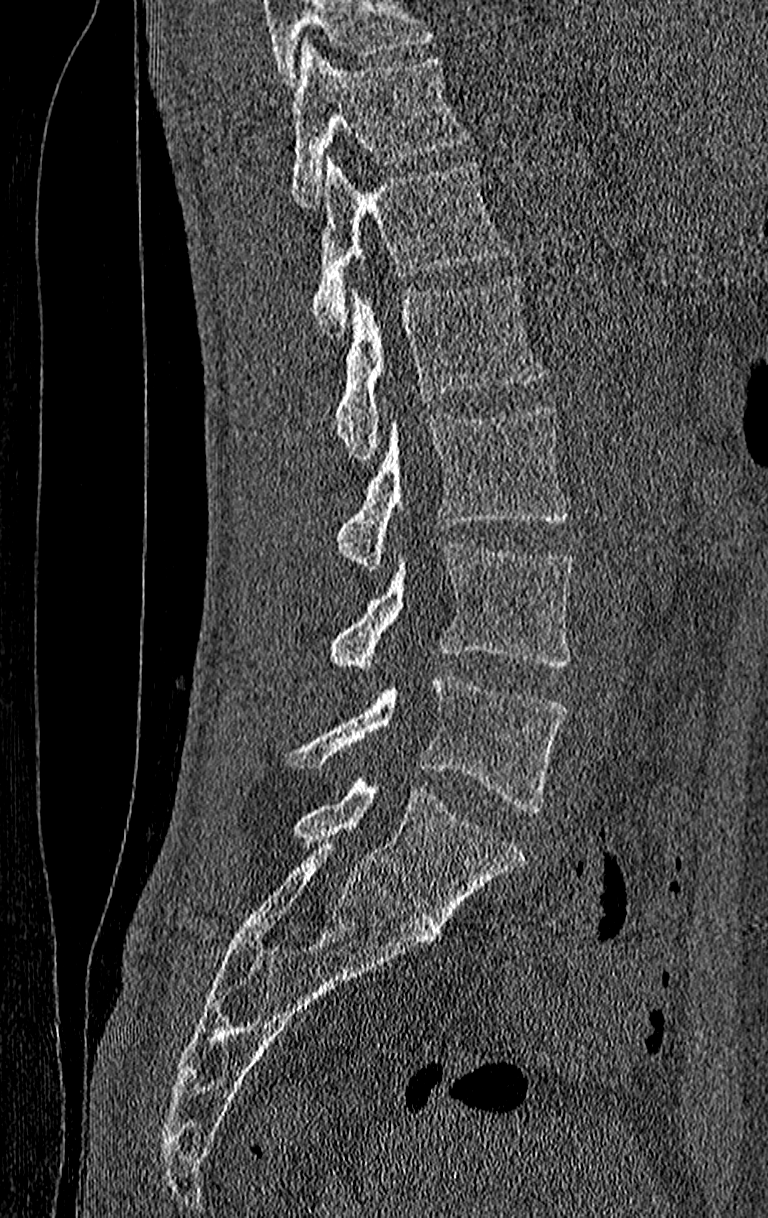

Computed tomography of the spine · the image spans 210 mm across · sagittal view

Box edges are left/top/right/bottom in pixels.
A vertebra cut off by the top edge of the scan is not labeled and has no box.
This scan's labels start at T11 at the top and end at L4 at the bottom.
Vertebra bounding boxes:
- T11: left=291, top=41, right=469, bottom=208
- T12: left=313, top=158, right=510, bottom=333
- L1: left=335, top=275, right=543, bottom=465
- L2: left=335, top=406, right=568, bottom=570
- L3: left=328, top=541, right=575, bottom=669
- L4: left=288, top=673, right=568, bottom=812